Spine CT — sagittal plane, index 108 — 222x589 px — 17 vertebrae labeled in this scan
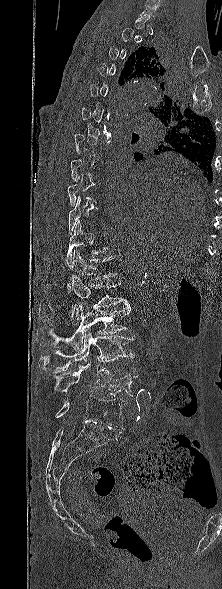

A vertebra is boxed only from the first to the last slice where its cross-section is at least a third of its largest; slices outside that range leave it without a box.
<vertebrae><v name="T11" x1="65" y1="219" x2="107" y2="264"/><v name="T12" x1="66" y1="249" x2="117" y2="292"/><v name="L1" x1="39" y1="275" x2="128" y2="324"/><v name="L2" x1="36" y1="301" x2="130" y2="349"/><v name="L3" x1="38" y1="332" x2="134" y2="371"/><v name="L4" x1="54" y1="363" x2="138" y2="397"/><v name="L5" x1="55" y1="395" x2="124" y2="430"/></vertebrae>